Computed tomography of the spine · the image is 160 mm wide · sagittal plane, index 92 · scan covers 9 annotated vertebrae · part of the image has been replaced by a constant value
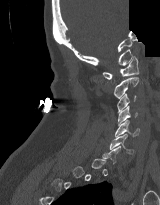
Boxes below are [x1, y1, x2, y2] in pixels.
A vertebra is boxed only from the first to the last slice where its cross-section is at least a third of its largest; slices outside that range leave it without a box.
{"vertebrae":{"C1":[102,56,138,79],"C2":[113,77,138,98],"C3":[117,93,136,113],"C4":[118,105,137,126],"C5":[115,120,139,136],"C6":[109,134,133,154]}}